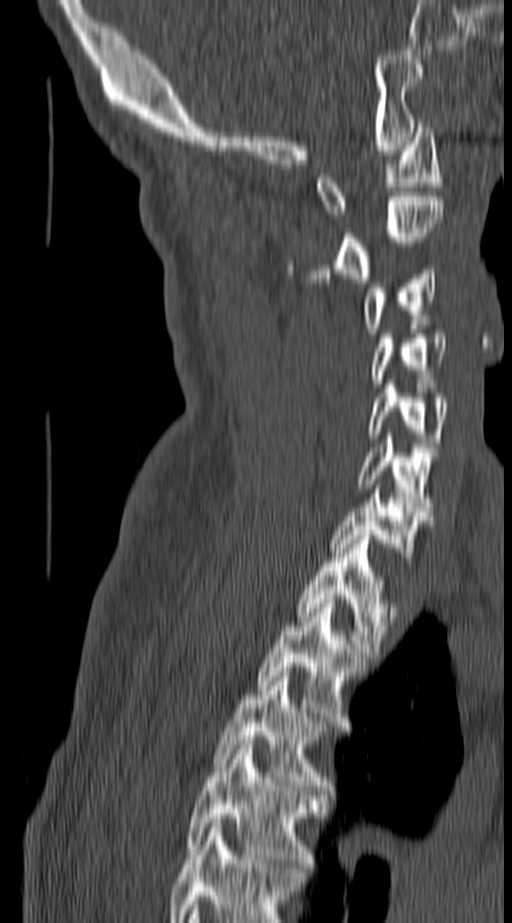
CT spine · sagittal view · W/L 1800/400 HU · image width 140 mm
Each box given as x1,y1,x2,y2.
The highest labeled vertebra in this scan is C1; the lowest is T4.
C1: x1=316, y1=123, x2=441, y2=218
C2: x1=287, y1=197, x2=443, y2=282
C3: x1=360, y1=265, x2=436, y2=333
C4: x1=371, y1=329, x2=447, y2=383
C5: x1=367, y1=384, x2=448, y2=447
C6: x1=356, y1=434, x2=436, y2=511
C7: x1=330, y1=485, x2=432, y2=566
T1: x1=297, y1=535, x2=393, y2=657
T2: x1=257, y1=599, x2=365, y2=726
T3: x1=213, y1=672, x2=329, y2=790
T4: x1=184, y1=741, x2=322, y2=872